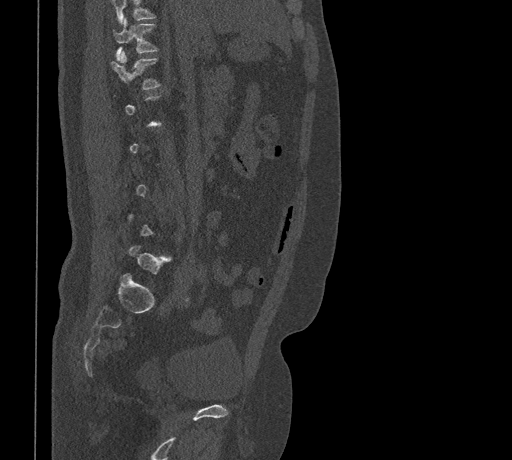 CT, spine — the image spans 461 mm across — sagittal view — Bone window (WL 400, WW 1800) — 512x460 px
Box values are [left, top, right, bottom] in pixels.
Not every vertebra on this slice has a box: a vertebra is boxed only from the first to the last slice where its cross-section is at least a third of its largest, and this slice is outside that range for at least one of them.
Where the top of the scan cuts through a vertebra, that vertebra gets no label or box.
{"vertebrae":{"T11":[112,19,157,60],"T12":[111,51,159,89],"L5":[129,246,170,274]}}